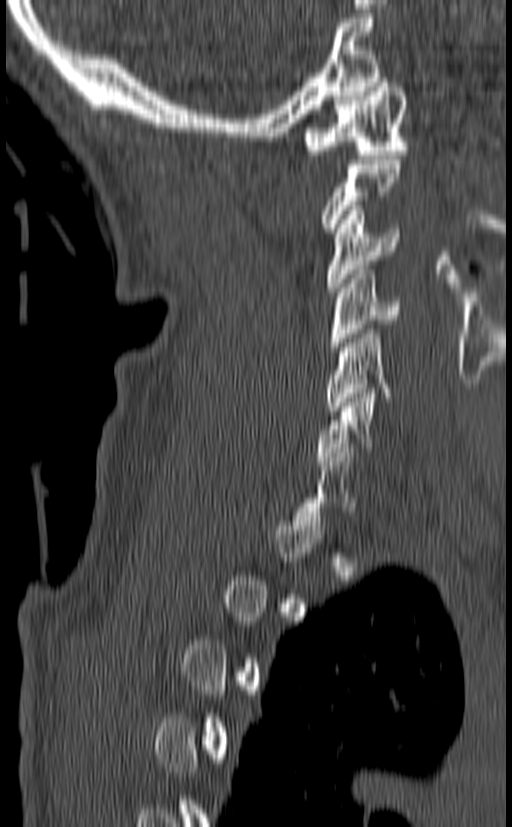 CT spine. sagittal view. W/L 1800/400 HU
Boxes: x1:y1:x2:y2 in pixels.
A vertebra gets a box only on the slices from the first to the last where its cross-section is at least a third of its largest; on a slice outside that range it gets none.
C1: 305:78:408:159
C3: 326:206:401:292
C4: 330:265:402:351
C5: 325:325:390:415
C6: 316:389:376:465